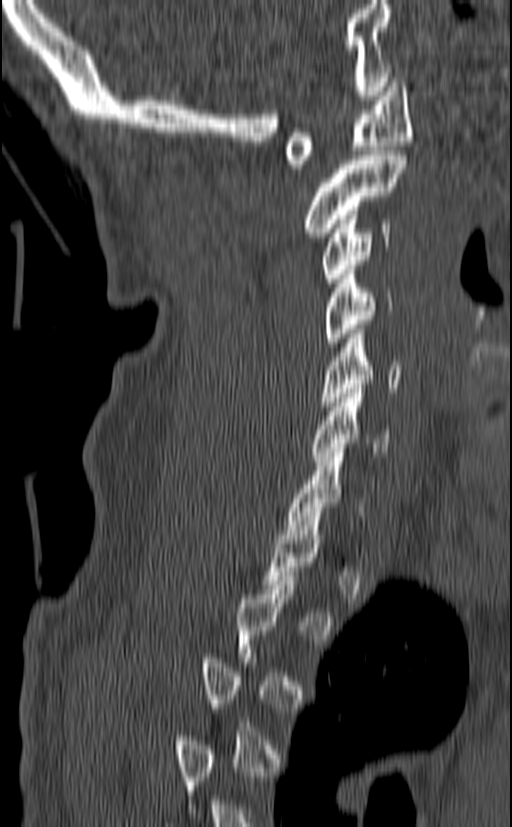
CT, spine. image 140 mm wide. sagittal view. bone-window reconstruction
In the table, x1 and y1 are a box's top-left corner and x2 and y2 its bottom-right corner, in pixels.
Each vertebra is boxed only on the slices from the first to the last where its cross-section reaches a third of its largest, so a slice outside that range leaves it unboxed.
| vertebra | x1 | y1 | x2 | y2 |
|---|---|---|---|---|
| C1 | 285 | 78 | 412 | 168 |
| C2 | 305 | 151 | 407 | 237 |
| C3 | 321 | 210 | 390 | 287 |
| C4 | 323 | 265 | 393 | 346 |
| C5 | 319 | 329 | 403 | 406 |
| C6 | 311 | 389 | 391 | 461 |
| C7 | 285 | 448 | 363 | 534 |